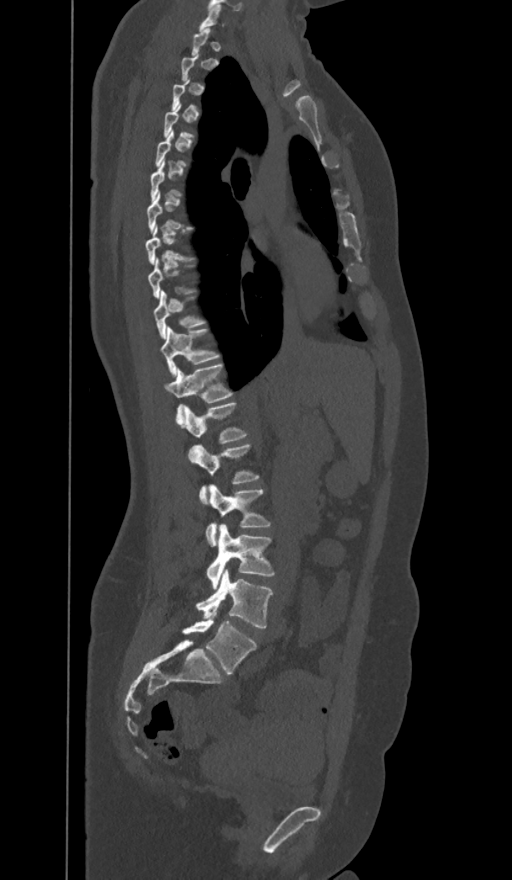 CT; sagittal view; 512x880 px
Boxes: x1 y1 x2 y2 (pixel coords, space-separated).
A vertebra gets a box only on the slices from the first to the last where its cross-section is at least a third of its largest; on a slice outside that range it gets none.
In these labels the spine has an L6, a sixth lumbar vertebra below L5.
Vertebra bounding boxes:
- C7: 200 4 221 30
- T10: 153 291 204 338
- T11: 161 327 219 375
- T12: 165 363 233 422
- L1: 183 402 247 455
- L2: 191 445 259 504
- L3: 205 484 270 546
- L4: 207 524 274 589
- L5: 196 569 273 629
- L6: 182 610 256 675